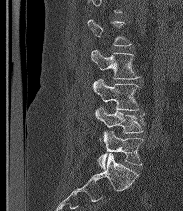
CT — sagittal view — bone window — the image is 183 mm wide — 183x211 px
Box values are [left, top, right, bottom] in pixels.
A vertebra gets a box only on the slices from the first to the last where its cross-section is at least a third of its largest; on a slice outside that range it gets none.
These labels give the spine a sixth lumbar vertebra, L6, below L5.
{"vertebrae":{"L6":[98,131,143,169],"L5":[95,107,144,133],"L4":[92,79,139,110],"L3":[91,49,140,79]}}